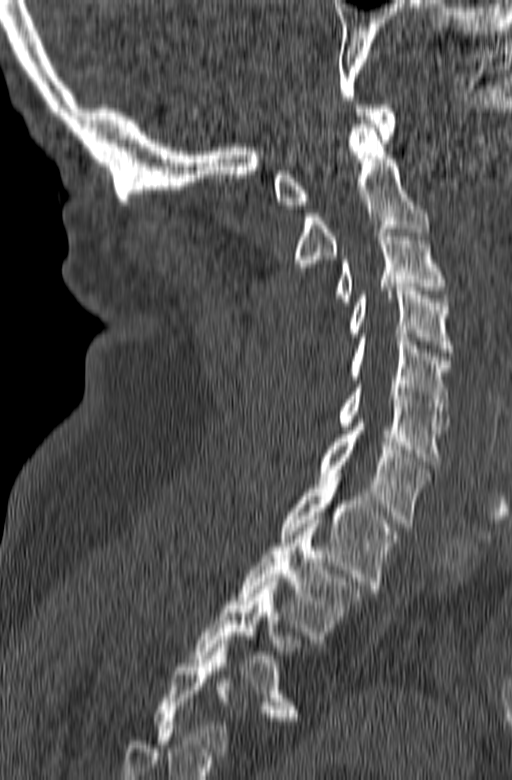 CT spine · sagittal reformat · bone-window reconstruction · 512x780 px

Boxes: x1:y1:x2:y2 in pixels.
This scan's labels start at C1 at the top and end at T3 at the bottom.
C1: 274:105:396:208
C2: 293:124:430:274
C3: 333:229:447:305
C4: 345:287:453:352
C5: 349:337:450:418
C6: 336:384:449:464
C7: 318:423:430:527
T1: 280:477:398:592
T2: 237:520:364:643
T3: 189:578:300:720